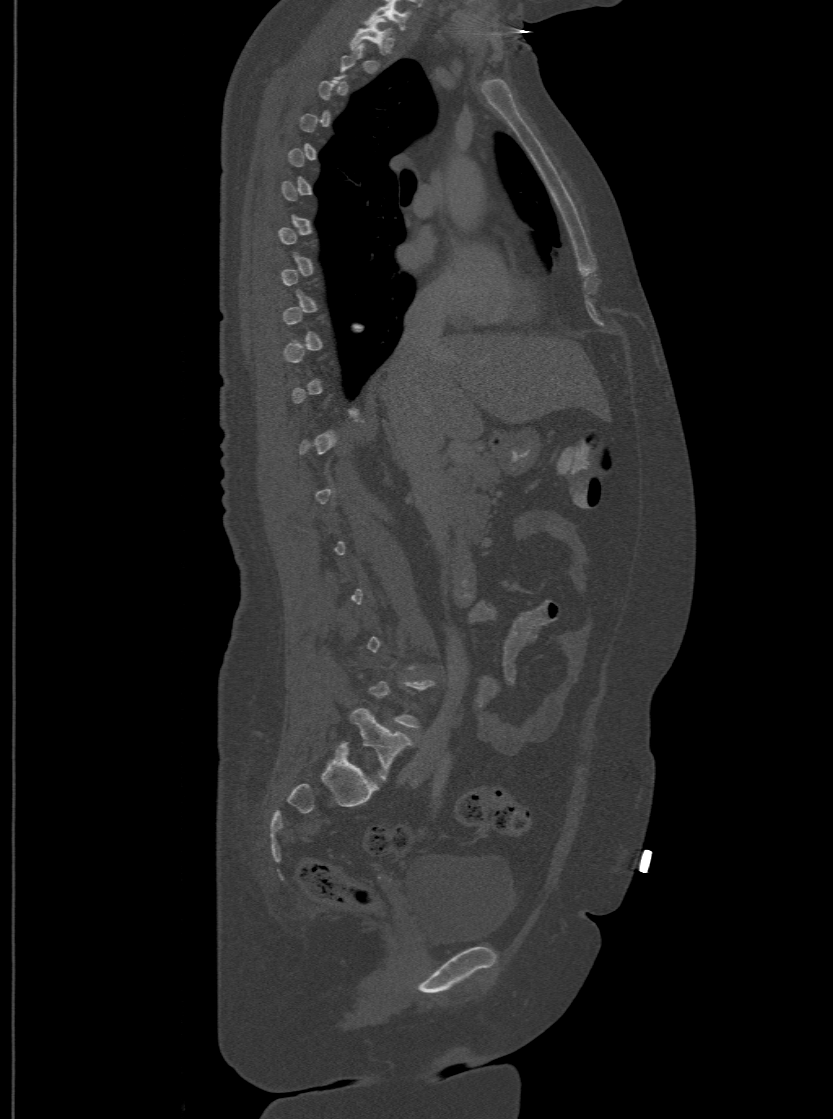 CT, spine · sagittal reformat · bone window

A vertebra is boxed only from the first to the last slice where its cross-section is at least a third of its largest; slices outside that range leave it without a box.
The highest labeled vertebra in this scan is T1; the lowest is L6.
In these labels the spine has an L6, a sixth lumbar vertebra below L5.
<vertebrae><v name="T1" x1="350" y1="18" x2="390" y2="47"/><v name="L6" x1="350" y1="708" x2="411" y2="780"/></vertebrae>